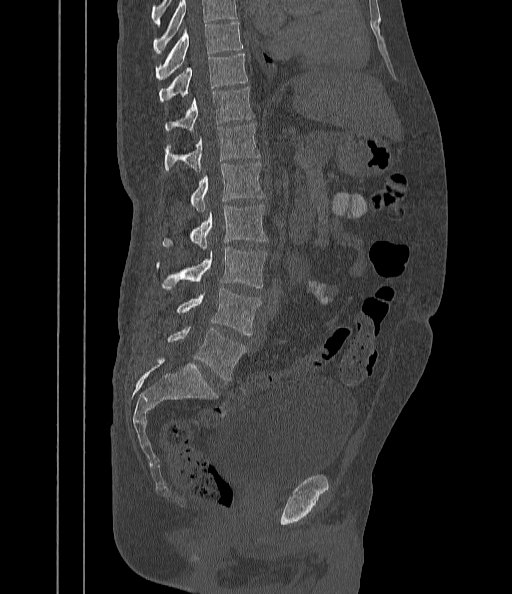
CT spine. sagittal view. 512x594 px

Boxes: x1:y1:x2:y2 in pixels.
Where the top of the scan cuts through a vertebra, that vertebra gets no label or box.
Vertebra bounding boxes:
- T9: 155:23:242:79
- T10: 159:54:247:102
- T11: 164:87:254:131
- T12: 164:123:260:171
- L1: 190:162:264:213
- L2: 162:205:268:249
- L3: 156:247:267:289
- L4: 176:288:261:334
- L5: 167:327:246:380